Spine CT — sagittal view — 512x943 px — image width 150 mm
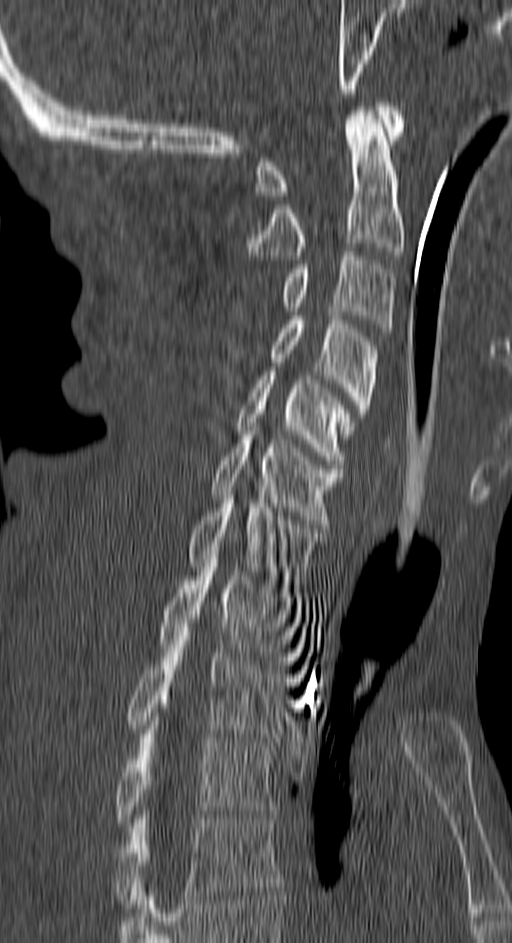 Boxes: x1 y1 x2 y2 (pixel coords, space-separated).
C1: 254 102 403 195
C2: 247 107 403 259
C3: 281 252 396 332
C4: 271 316 379 438
C5: 237 371 350 464
C6: 209 427 342 524
C7: 189 491 324 588
T1: 158 559 302 669
T2: 128 627 289 737
T3: 114 730 273 827
T4: 114 815 280 908